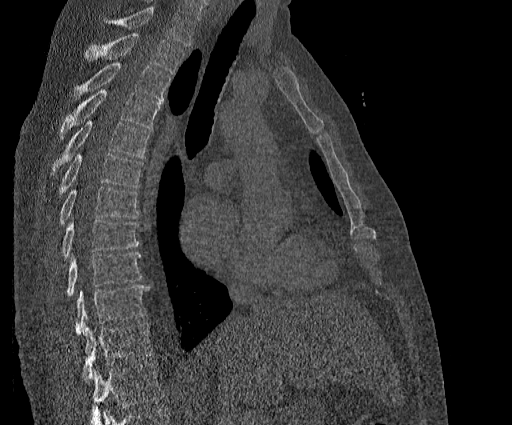 CT, spine; sagittal view; 512x425 px. Boxes: x1:y1:x2:y2 in pixels. No box is given to a vertebra that the top edge of the scan cuts off. In this scan, the topmost labeled vertebra is T2 and the lowest is T11. The labeled vertebrae in this slice are: T2 at 85:33:184:74, T3 at 74:63:171:100, T4 at 60:89:160:138, T5 at 52:120:149:174, T6 at 60:153:143:194, T7 at 60:187:139:223, T8 at 61:220:139:256, T9 at 66:252:141:296, T10 at 74:285:149:334, T11 at 82:323:153:380.